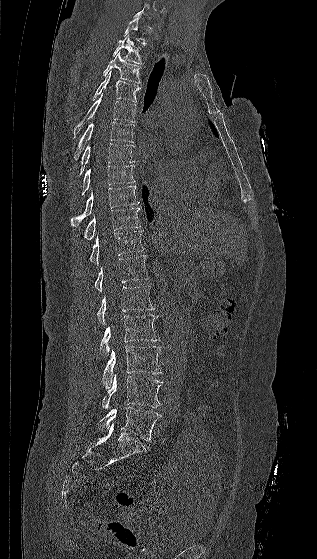
CT, spine; sagittal view; bone window

Boxes: x1 y1 x2 y2 (pixel coords, space-separated).
A vertebra is boxed only from the first to the last slice where its cross-section is at least a third of its largest; slices outside that range leave it without a box.
Vertebra bounding boxes:
- L5: 99 407 160 440
- L4: 102 374 163 410
- L3: 102 345 161 388
- L2: 99 314 160 357
- L1: 97 285 155 324
- T12: 94 255 149 291
- T11: 89 231 143 263
- T10: 82 208 140 240
- T9: 70 185 139 226
- T8: 81 165 135 195
- T7: 78 143 134 176
- T6: 73 121 134 160
- T5: 73 93 136 137
- T4: 93 71 140 102
- T3: 102 52 140 83
- T2: 112 35 142 64
- T1: 123 17 146 44